CT, spine; image width 208 mm; sagittal reformat; bone-window reconstruction; scan covers 17 annotated vertebrae
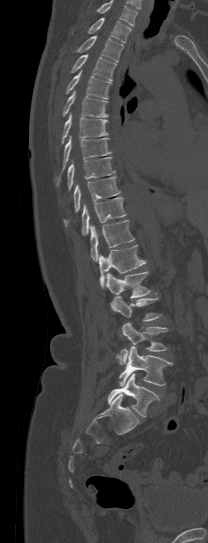
Bounding boxes as [x1, y1, x2, y2] in pixel coordinates.
No box is given to a vertebra that the top edge of the scan cuts off.
Vertebra bounding boxes:
- L5: [108, 373, 160, 416]
- L4: [118, 346, 173, 386]
- L3: [116, 323, 168, 364]
- L2: [111, 296, 160, 321]
- L1: [106, 271, 150, 298]
- T12: [99, 245, 146, 287]
- T11: [90, 220, 134, 261]
- T10: [82, 197, 126, 235]
- T9: [63, 176, 120, 227]
- T8: [67, 157, 114, 191]
- T7: [54, 136, 112, 184]
- T6: [62, 114, 108, 143]
- T5: [63, 90, 109, 117]
- T4: [66, 71, 110, 98]
- T3: [71, 54, 116, 80]
- T2: [77, 36, 123, 62]
- T1: [87, 17, 131, 42]